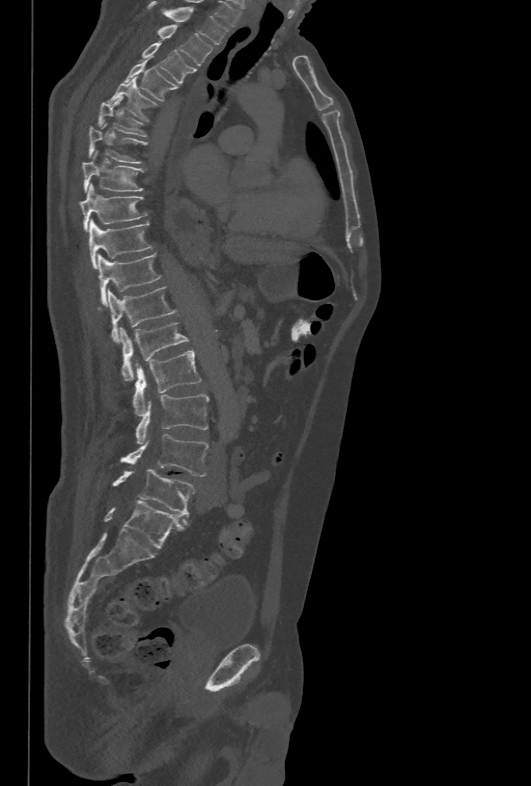 CT, spine — sagittal view — 531x786 px. Boxes: x1 y1 x2 y2 (pixel coords, space-separated).
T1: 148 1 228 44
T2: 158 24 213 65
T3: 142 43 196 84
T4: 124 62 175 101
T5: 108 78 157 121
T6: 98 96 146 136
T7: 88 123 146 163
T8: 82 152 143 193
T9: 80 184 146 231
T10: 89 219 153 268
T11: 98 253 161 305
T12: 98 286 177 342
L1: 119 323 189 381
L2: 132 349 201 415
L3: 136 394 209 444
L4: 120 434 208 476
L5: 112 468 194 515